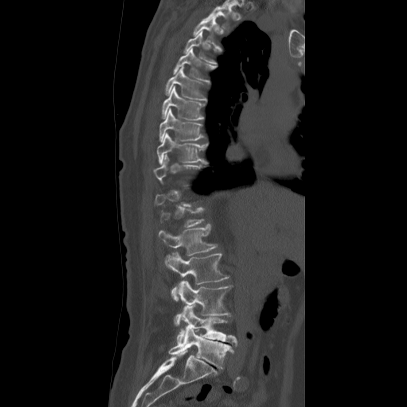

CT; sagittal reformat; Bone window (WL 400, WW 1800). Bounding boxes as [x1, y1, x2, y2] in pixel coordinates.
Each vertebra is boxed only on the slices from the first to the last where its cross-section reaches a third of its largest, so a slice outside that range leaves it unboxed.
T2: [205, 3, 232, 31]
T3: [192, 16, 227, 50]
T4: [183, 30, 220, 66]
T5: [172, 47, 216, 82]
T6: [163, 65, 208, 101]
T7: [161, 86, 205, 120]
T8: [158, 108, 205, 141]
T9: [156, 132, 208, 164]
T10: [153, 153, 206, 184]
L1: [158, 225, 216, 255]
L2: [163, 251, 228, 300]
L3: [174, 279, 231, 325]
L4: [176, 304, 237, 345]
L5: [167, 325, 233, 369]